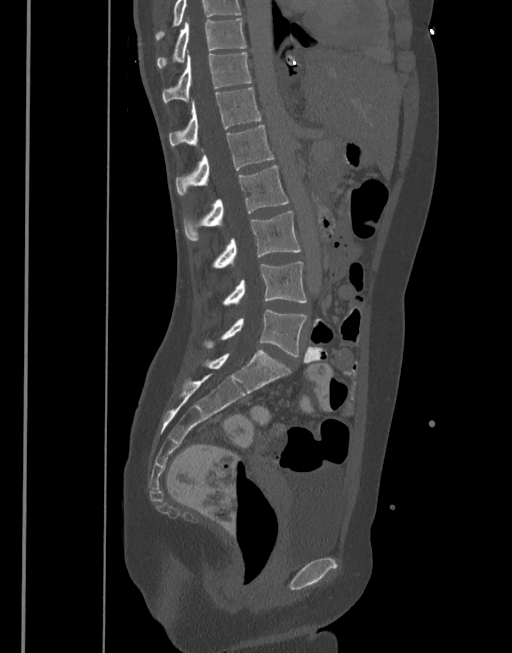 Computed tomography of the spine; sagittal view; 377 mm image width

Each box given as x1,y1,x2,y2.
Labels in this scan begin with T10 at the top and end with L5 at the bottom.
Vertebra bounding boxes:
- L5: x1=202, y1=309, x2=307, y2=357
- L4: x1=221, y1=262, x2=307, y2=305
- L3: x1=210, y1=210, x2=300, y2=268
- L2: x1=183, y1=165, x2=288, y2=240
- L1: x1=175, y1=125, x2=275, y2=196
- T12: x1=168, y1=88, x2=261, y2=146
- T11: x1=161, y1=53, x2=251, y2=102
- T10: x1=156, y1=18, x2=246, y2=67